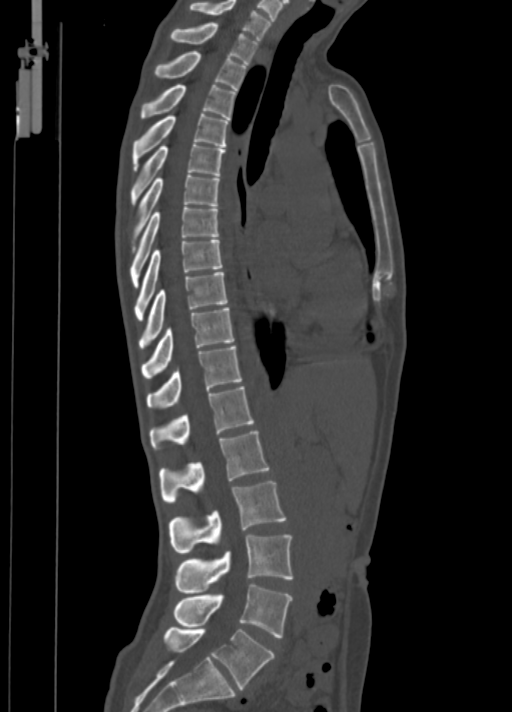
CT spine; sagittal view
<vertebrae><v name="C7" x1="190" y1="0" x2="270" y2="38"/><v name="T1" x1="171" y1="22" x2="258" y2="63"/><v name="T2" x1="155" y1="51" x2="246" y2="90"/><v name="T3" x1="140" y1="85" x2="236" y2="119"/><v name="T4" x1="131" y1="114" x2="228" y2="170"/><v name="T5" x1="130" y1="143" x2="226" y2="204"/><v name="T6" x1="132" y1="174" x2="220" y2="252"/><v name="T7" x1="130" y1="206" x2="218" y2="286"/><v name="T8" x1="134" y1="240" x2="223" y2="319"/><v name="T9" x1="139" y1="272" x2="227" y2="347"/><v name="T10" x1="142" y1="307" x2="234" y2="378"/><v name="T11" x1="146" y1="345" x2="242" y2="409"/><v name="T12" x1="149" y1="386" x2="253" y2="450"/><v name="L1" x1="159" y1="430" x2="269" y2="502"/><v name="L2" x1="168" y1="481" x2="285" y2="553"/><v name="L3" x1="175" y1="534" x2="293" y2="593"/><v name="L4" x1="174" y1="584" x2="293" y2="638"/><v name="L5" x1="164" y1="626" x2="274" y2="689"/></vertebrae>